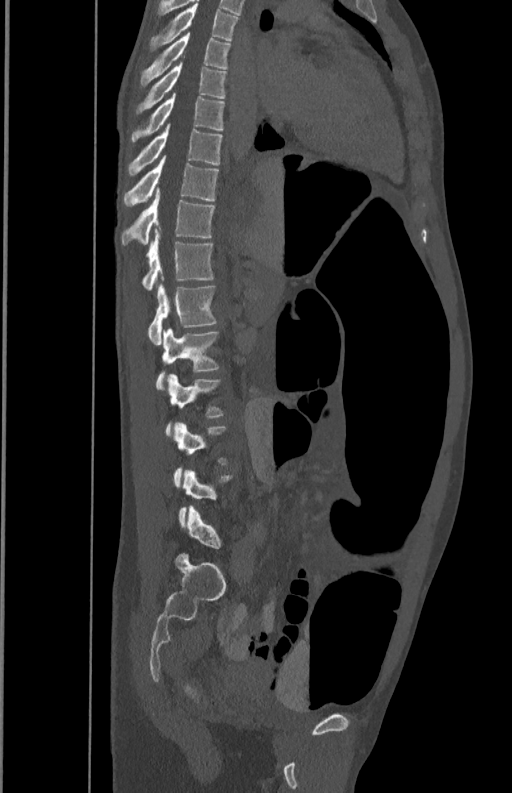

Spine CT · sagittal view · bone-window reconstruction · 350 mm image width
In the table, x1 and y1 are a box's top-left corner and x2 and y2 its bottom-right corner, in pixels.
A vertebra is boxed only from the first to the last slice where its cross-section is at least a third of its largest; slices outside that range leave it without a box.
| vertebra | x1 | y1 | x2 | y2 |
|---|---|---|---|---|
| T5 | 150 | 3 | 239 | 50 |
| T6 | 140 | 32 | 230 | 85 |
| T7 | 136 | 61 | 226 | 112 |
| T8 | 131 | 93 | 224 | 143 |
| T9 | 128 | 124 | 223 | 175 |
| T10 | 123 | 155 | 218 | 207 |
| T11 | 121 | 188 | 214 | 244 |
| T12 | 142 | 228 | 212 | 291 |
| L1 | 148 | 276 | 217 | 344 |
| L2 | 156 | 329 | 218 | 389 |
| L3 | 165 | 374 | 223 | 435 |